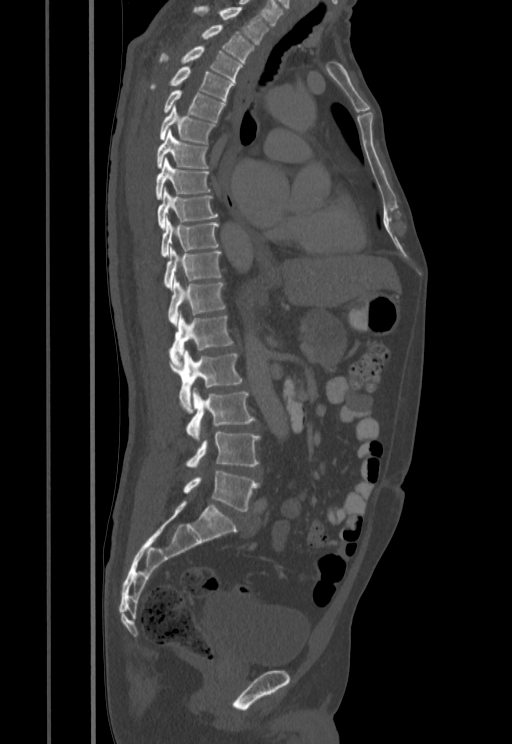 CT, spine. sagittal reformat. 512x744 px
<vertebrae><v name="T1" x1="193" y1="7" x2="269" y2="44"/><v name="T2" x1="202" y1="25" x2="253" y2="62"/><v name="T3" x1="161" y1="46" x2="242" y2="81"/><v name="T4" x1="152" y1="66" x2="234" y2="102"/><v name="T5" x1="164" y1="89" x2="225" y2="121"/><v name="T6" x1="160" y1="105" x2="215" y2="144"/><v name="T7" x1="156" y1="128" x2="207" y2="168"/><v name="T8" x1="155" y1="158" x2="209" y2="199"/><v name="T9" x1="157" y1="187" x2="217" y2="228"/><v name="T10" x1="161" y1="215" x2="218" y2="256"/><v name="T11" x1="164" y1="246" x2="221" y2="290"/><v name="T12" x1="169" y1="277" x2="225" y2="324"/><v name="L1" x1="170" y1="311" x2="233" y2="368"/><v name="L2" x1="167" y1="347" x2="242" y2="414"/><v name="L3" x1="187" y1="387" x2="254" y2="442"/><v name="L4" x1="187" y1="432" x2="259" y2="467"/><v name="L5" x1="183" y1="471" x2="259" y2="511"/></vertebrae>